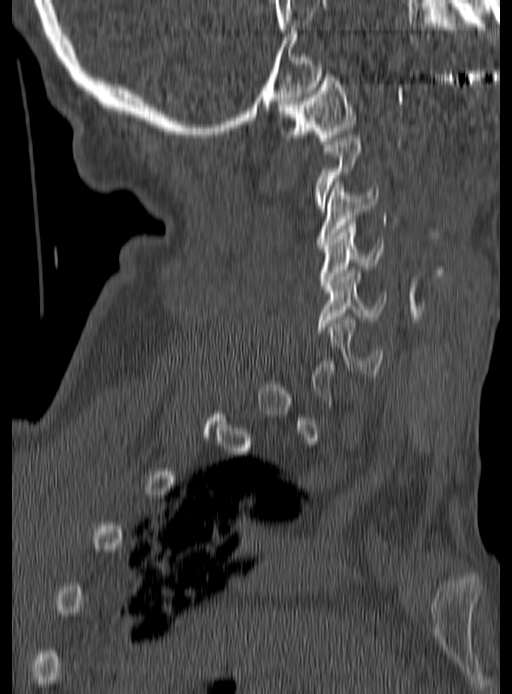

Computed tomography of the spine · sagittal view · Bone window (WL 400, WW 1800) · image 190 mm wide
Box edges are left/top/right/bottom in pixels.
Not every vertebra on this slice has a box: a vertebra is boxed only from the first to the last slice where its cross-section is at least a third of its largest, and this slice is outside that range for at least one of them.
| vertebra | x1 | y1 | x2 | y2 |
|---|---|---|---|---|
| C6 | 327 | 317 | 383 | 376 |
| C5 | 317 | 269 | 386 | 332 |
| C4 | 319 | 222 | 383 | 289 |
| C3 | 315 | 182 | 378 | 245 |
| C1 | 279 | 74 | 357 | 144 |